CT spine; sagittal view; bone window; 17 vertebrae labeled in this scan
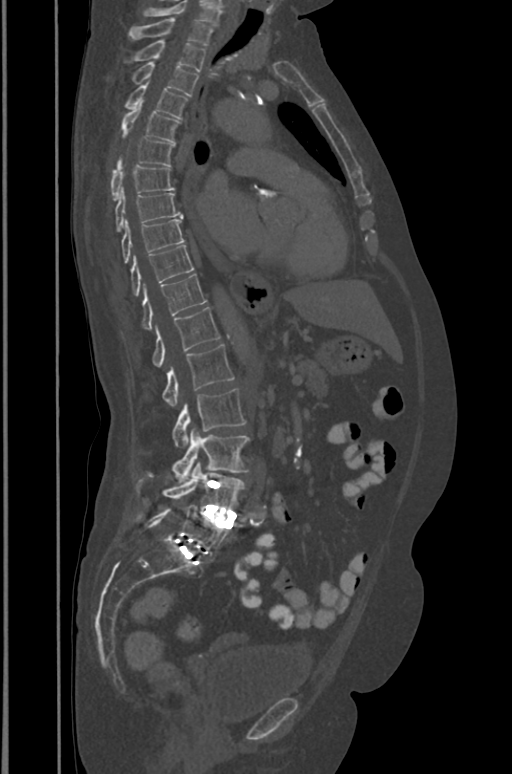
In the table, x1 and y1 are a box's top-left corner and x2 and y2 its bottom-right corner, in pixels.
The highest labeled vertebra in this scan is T1; the lowest is L5.
| vertebra | x1 | y1 | x2 | y2 |
|---|---|---|---|---|
| L5 | 138 | 507 | 228 | 554 |
| L4 | 136 | 462 | 244 | 510 |
| L3 | 172 | 429 | 249 | 482 |
| L2 | 172 | 389 | 245 | 447 |
| L1 | 162 | 344 | 233 | 406 |
| T12 | 152 | 307 | 220 | 367 |
| T11 | 141 | 274 | 207 | 330 |
| T10 | 131 | 245 | 194 | 296 |
| T9 | 122 | 219 | 184 | 263 |
| T8 | 115 | 188 | 182 | 232 |
| T7 | 110 | 165 | 174 | 200 |
| T6 | 116 | 138 | 174 | 166 |
| T5 | 122 | 103 | 180 | 142 |
| T4 | 124 | 82 | 188 | 119 |
| T3 | 131 | 62 | 198 | 95 |
| T2 | 123 | 40 | 205 | 71 |
| T1 | 128 | 18 | 212 | 45 |